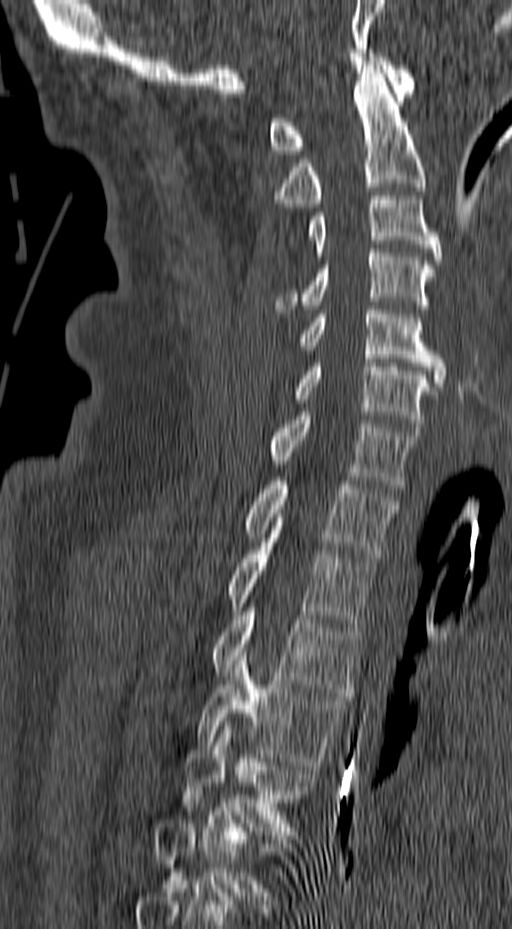 Spine computed tomography — 157 mm image width — sagittal view
Not every vertebra on this slice has a box: a vertebra is boxed only from the first to the last slice where its cross-section is at least a third of its largest, and this slice is outside that range for at least one of them.
<vertebrae><v name="T5" x1="183" y1="717" x2="316" y2="835"/><v name="T4" x1="196" y1="652" x2="349" y2="769"/><v name="T3" x1="210" y1="603" x2="362" y2="696"/><v name="T2" x1="226" y1="542" x2="375" y2="627"/><v name="T1" x1="246" y1="481" x2="398" y2="557"/><v name="C7" x1="269" y1="412" x2="421" y2="488"/><v name="C6" x1="293" y1="359" x2="440" y2="431"/><v name="C5" x1="300" y1="306" x2="446" y2="390"/><v name="C4" x1="275" y1="249" x2="435" y2="309"/><v name="C3" x1="308" y1="196" x2="441" y2="260"/><v name="C2" x1="273" y1="65" x2="425" y2="207"/><v name="C1" x1="269" y1="53" x2="416" y2="154"/></vertebrae>